Spine CT · sagittal view · Bone window (WL 400, WW 1800) · 186x206 px
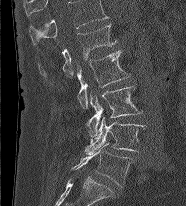
Each vertebra maps to its box as [x1, y1, x2, y2], the pixel coordinates of its top-left and bottom-right corners.
This scan's labels start at L1 at the top and end at L5 at the bottom.
{"vertebrae":{"L1":[39,24,116,78],"L2":[77,50,130,108],"L3":[85,86,142,143],"L4":[85,117,147,154],"L5":[70,142,133,186]}}